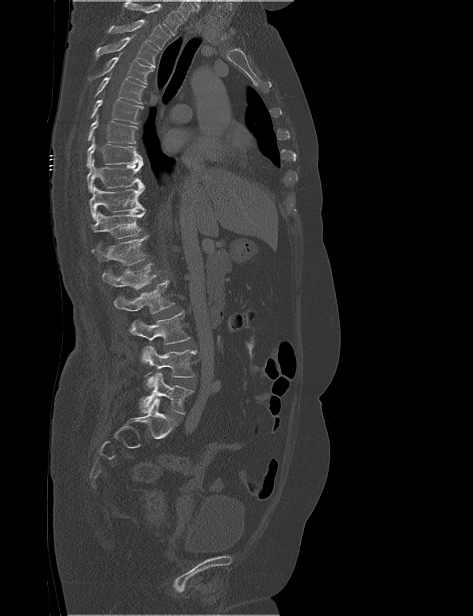
CT spine · sagittal view · bone window · image 473 mm wide · 473x616 px
A vertebra cut off by the top edge of the scan is not labeled and has no box.
<vertebrae><v name="T2" x1="107" y1="19" x2="170" y2="49"/><v name="T3" x1="95" y1="33" x2="158" y2="67"/><v name="T4" x1="87" y1="52" x2="153" y2="84"/><v name="T5" x1="93" y1="72" x2="146" y2="104"/><v name="T6" x1="90" y1="98" x2="143" y2="124"/><v name="T7" x1="87" y1="115" x2="138" y2="143"/><v name="T8" x1="86" y1="136" x2="142" y2="167"/><v name="T9" x1="87" y1="158" x2="144" y2="192"/><v name="T10" x1="89" y1="185" x2="145" y2="220"/><v name="T11" x1="91" y1="211" x2="145" y2="239"/><v name="T12" x1="91" y1="235" x2="148" y2="265"/><v name="L1" x1="102" y1="263" x2="156" y2="289"/><v name="L2" x1="114" y1="280" x2="175" y2="314"/><v name="L3" x1="130" y1="311" x2="191" y2="344"/><v name="L4" x1="141" y1="345" x2="196" y2="388"/><v name="L5" x1="140" y1="372" x2="194" y2="414"/></vertebrae>